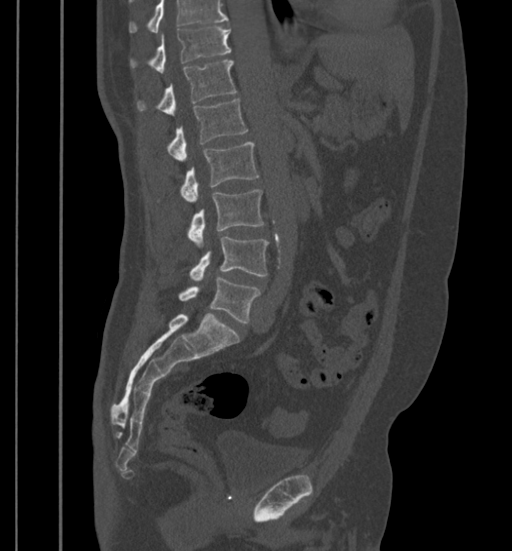
Spine computed tomography; sagittal view; W/L 1800/400 HU
Box edges are left/top/right/bottom in pixels.
A vertebra cut off by the top edge of the scan is not labeled and has no box.
| vertebra | x1 | y1 | x2 | y2 |
|---|---|---|---|---|
| L5 | 178 | 277 | 261 | 323 |
| L4 | 190 | 236 | 268 | 281 |
| L3 | 187 | 190 | 263 | 246 |
| L2 | 181 | 142 | 258 | 202 |
| L1 | 168 | 99 | 248 | 161 |
| T12 | 137 | 60 | 236 | 115 |
| T11 | 131 | 27 | 231 | 73 |